CT · image 345 mm wide · sagittal plane, index 222 · Bone window (WL 400, WW 1800) · 7 vertebrae labeled in this scan
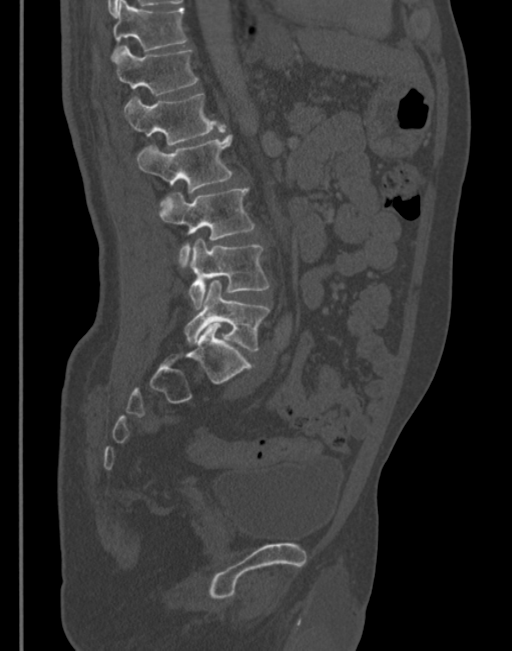

Box edges are left/top/right/bottom in pixels.
T11: left=111, top=0, right=186, bottom=60
T12: left=113, top=45, right=198, bottom=95
L1: left=121, top=93, right=224, bottom=145
L2: left=136, top=134, right=232, bottom=193
L3: left=159, top=188, right=254, bottom=267
L4: left=188, top=239, right=269, bottom=309
L5: left=185, top=280, right=269, bottom=352